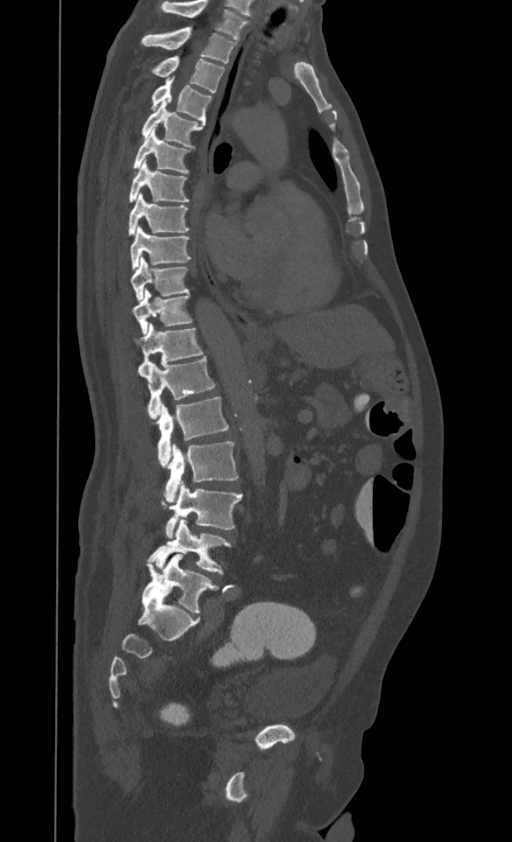

CT spine. sagittal view. 512x842 px. 395 mm across the image

Box edges are left/top/right/bottom in pixels.
Labels in this scan begin with T1 at the top and end with L4 at the bottom.
| vertebra | x1 | y1 | x2 | y2 |
|---|---|---|---|---|
| L4 | 148 | 516 | 231 | 574 |
| L3 | 166 | 481 | 243 | 538 |
| L2 | 164 | 441 | 237 | 502 |
| L1 | 157 | 397 | 228 | 468 |
| T12 | 146 | 356 | 215 | 419 |
| T11 | 136 | 323 | 202 | 375 |
| T10 | 133 | 289 | 192 | 335 |
| T9 | 131 | 257 | 188 | 302 |
| T8 | 131 | 225 | 191 | 270 |
| T7 | 128 | 192 | 188 | 235 |
| T6 | 129 | 160 | 188 | 202 |
| T5 | 133 | 128 | 189 | 173 |
| T4 | 141 | 99 | 204 | 147 |
| T3 | 152 | 78 | 211 | 124 |
| T2 | 152 | 56 | 224 | 92 |
| T1 | 141 | 27 | 236 | 63 |